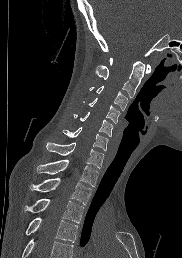 CT. sagittal view. Bone window (WL 400, WW 1800). 182x258 px

A vertebra cut off by the bottom edge of the scan is not labeled and has no box.
<vertebrae><v name="T4" x1="25" y1="217" x2="77" y2="242"/><v name="T3" x1="24" y1="198" x2="83" y2="223"/><v name="T2" x1="30" y1="177" x2="91" y2="204"/><v name="T1" x1="37" y1="159" x2="98" y2="186"/><v name="C7" x1="46" y1="142" x2="103" y2="168"/><v name="C6" x1="63" y1="127" x2="107" y2="150"/><v name="C5" x1="74" y1="112" x2="112" y2="136"/><v name="C4" x1="83" y1="98" x2="119" y2="123"/><v name="C3" x1="90" y1="85" x2="128" y2="110"/><v name="C2" x1="95" y1="61" x2="144" y2="97"/><v name="C1" x1="109" y1="57" x2="151" y2="73"/></vertebrae>